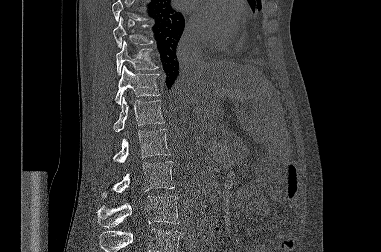

CT, spine. sagittal view
Boxes are (x1, y1, x2, y2) in pixels.
Vertebrae that run past the top or bottom of the scan are left unlabeled.
Vertebra bounding boxes:
- T9: (113, 17, 152, 48)
- T10: (116, 40, 158, 75)
- T11: (115, 65, 160, 105)
- T12: (113, 97, 164, 132)
- L1: (113, 129, 170, 162)
- L2: (101, 161, 174, 197)
- L3: (97, 196, 179, 227)